Spine computed tomography — sagittal view — 512x1029 px
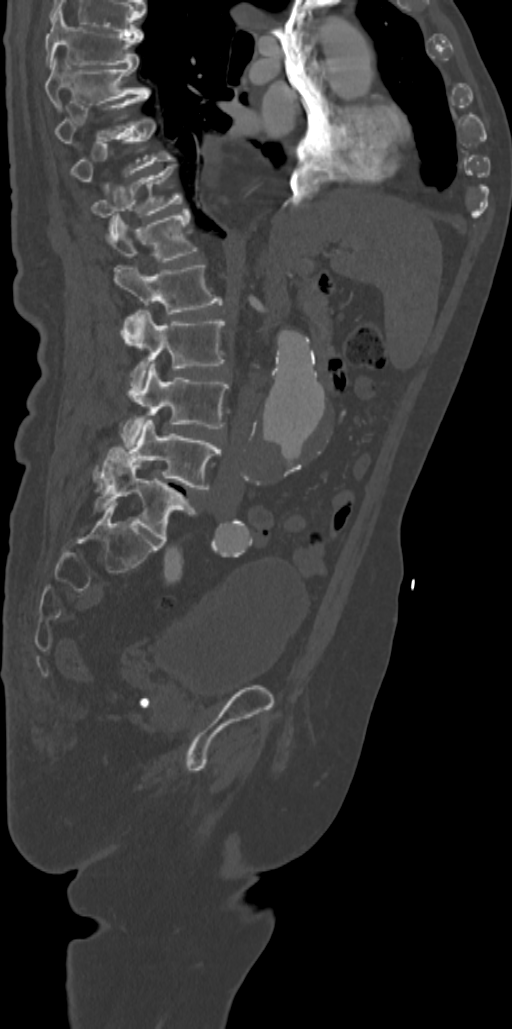

Coordinates as <box>x1,y1,x2,y2</box>. The labeled vertebrae in this slice are: L5 at <box>94,449,195,540</box>, L4 at <box>94,418,220,489</box>, L3 at <box>121,364,228,446</box>, L2 at <box>121,310,225,394</box>, L1 at <box>114,265,222,343</box>, T12 at <box>106,209,198,262</box>, T11 at <box>91,164,181,230</box>, T10 at <box>70,117,173,194</box>, T9 at <box>55,94,147,143</box>, T8 at <box>45,56,150,109</box>, T7 at <box>45,11,143,66</box>.